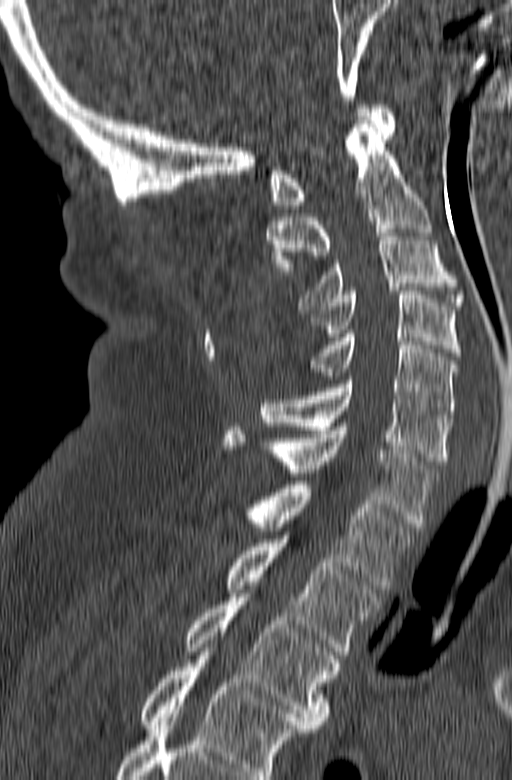
Computed tomography of the spine. sagittal view
Boxes below are [x1, y1, x2, y2] in pixels.
In this scan, the topmost labeled vertebra is C1 and the lowest is T3.
{"vertebrae":{"C1":[268,105,395,208],"C2":[267,120,431,274],"C3":[299,229,464,309],"C4":[305,291,460,356],"C5":[302,334,456,418],"C6":[260,380,452,464],"C7":[224,427,438,527],"T1":[204,481,415,589],"T2":[227,539,379,658],"T3":[185,597,340,728]}}